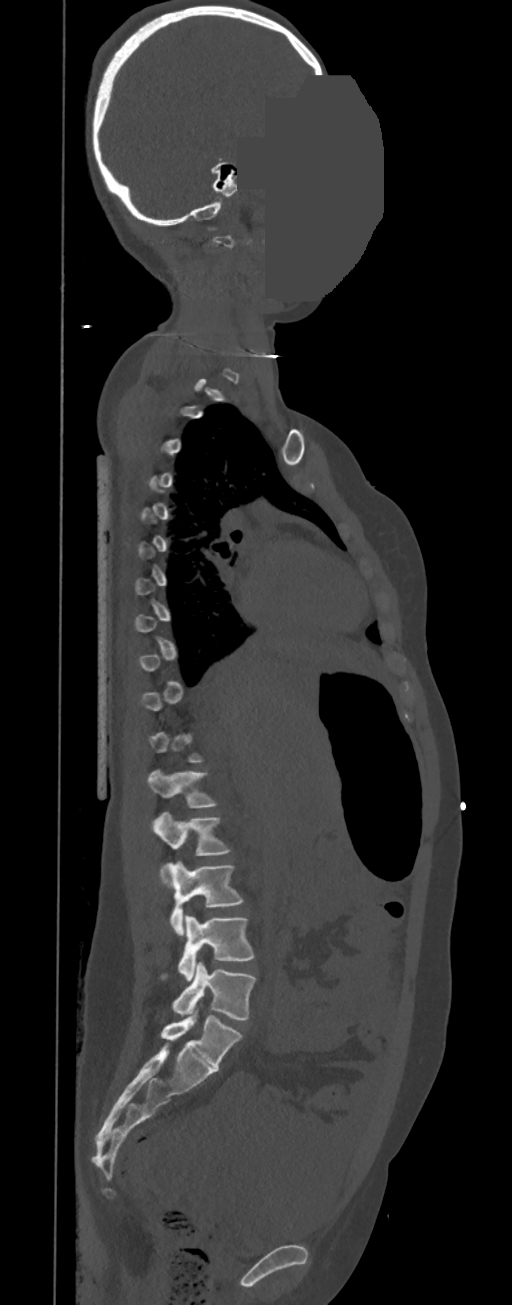
CT. sagittal view. part of the image is a flat gray fill, not anatomy

Not every vertebra on this slice has a box: a vertebra is boxed only from the first to the last slice where its cross-section is at least a third of its largest, and this slice is outside that range for at least one of them.
<vertebrae><v name="L1" x1="148" y1="769" x2="218" y2="807"/><v name="L2" x1="152" y1="812" x2="231" y2="882"/><v name="L3" x1="166" y1="861" x2="243" y2="935"/><v name="L4" x1="160" y1="915" x2="253" y2="980"/><v name="L5" x1="172" y1="962" x2="256" y2="1019"/></vertebrae>